CT, spine · 459 mm image width · sagittal reformat · Bone window (WL 400, WW 1800)
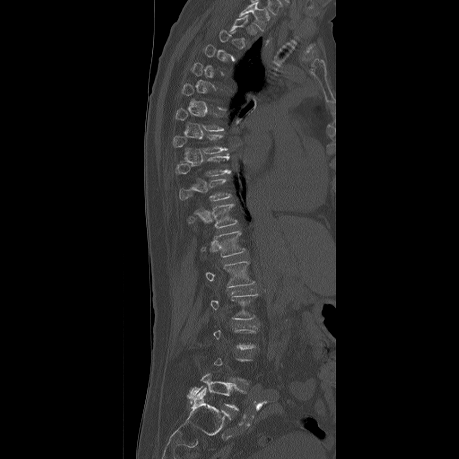

Boxes: x1:y1:x2:y2 in pixels.
Not every vertebra on this slice has a box: a vertebra is boxed only from the first to the last slice where its cross-section is at least a third of its largest, and this slice is outside that range for at least one of them.
Vertebra bounding boxes:
- L5: 188:375:239:410
- L2: 209:294:257:319
- L1: 200:261:256:287
- T12: 199:231:246:257
- T11: 186:204:238:228
- T10: 179:179:230:201
- T9: 176:155:229:176
- T8: 172:134:227:153
- T7: 175:108:224:131